Computed tomography of the spine; sagittal plane, index 248
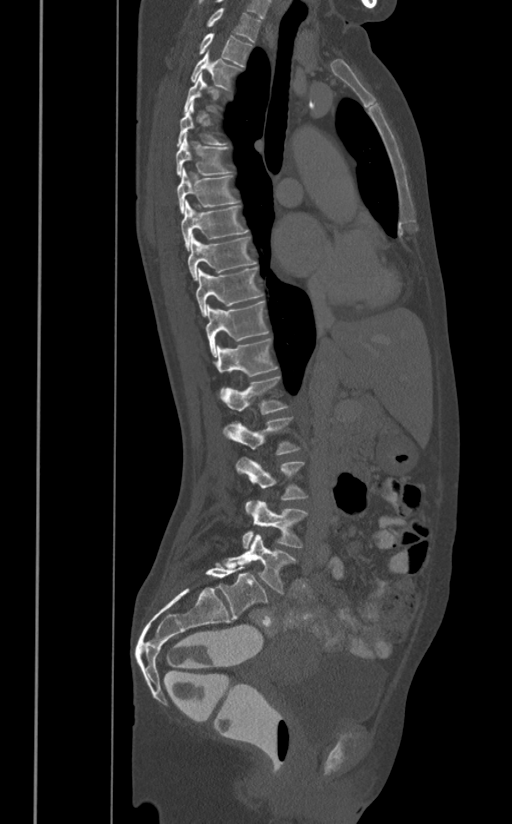
Bounding boxes as [x1, y1, x2, y2] in pixel coordinates.
Vertebra bounding boxes:
- T1: [205, 8, 261, 43]
- T2: [198, 33, 252, 65]
- T3: [191, 49, 241, 91]
- T4: [184, 73, 220, 113]
- T5: [177, 100, 227, 146]
- T6: [175, 132, 231, 176]
- T7: [177, 167, 238, 213]
- T8: [181, 200, 249, 251]
- T9: [187, 235, 257, 281]
- T10: [196, 266, 263, 316]
- T11: [205, 301, 269, 356]
- T12: [213, 338, 278, 376]
- L1: [221, 376, 288, 414]
- L2: [222, 416, 300, 455]
- L3: [236, 457, 308, 513]
- L4: [242, 500, 308, 548]
- L5: [222, 534, 296, 594]